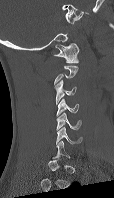

Spine computed tomography — sagittal view — 114 mm wide

Coordinates as <box>x1,y1,x2,y2</box>.
Not every vertebra on this slice has a box: a vertebra is boxed only from the first to the last slice where its cross-section is at least a third of its largest, and this slice is outside that range for at least one of them.
Vertebra bounding boxes:
- C1: <box>54,43,79,63</box>
- C3: <box>55,80,76,105</box>
- C4: <box>56,98,79,116</box>
- C5: <box>56,112,81,130</box>
- C6: <box>56,127,82,144</box>